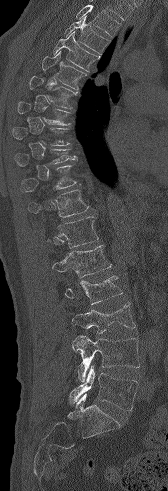

CT. 168 mm across the image. sagittal view
Columns x1, y1, x2, y2 give each box's top-left and bottom-right pixels.
Not every vertebra on this slice has a box: a vertebra is boxed only from the first to the last slice where its cross-section is at least a third of its largest, and this slice is outside that range for at least one of them.
Vertebrae that run past the top of the scan are left unlabeled.
| vertebra | x1 | y1 | x2 | y2 |
|---|---|---|---|---|
| T3 | 64 | 16 | 108 | 54 |
| T4 | 53 | 31 | 99 | 71 |
| T5 | 42 | 51 | 86 | 89 |
| T6 | 29 | 76 | 77 | 108 |
| T7 | 17 | 101 | 70 | 125 |
| T9 | 14 | 149 | 77 | 166 |
| T10 | 21 | 165 | 76 | 191 |
| T11 | 28 | 189 | 89 | 217 |
| T12 | 48 | 216 | 98 | 248 |
| L1 | 52 | 245 | 111 | 277 |
| L2 | 65 | 275 | 122 | 304 |
| L3 | 71 | 303 | 135 | 333 |
| L4 | 72 | 335 | 139 | 381 |
| L5 | 69 | 365 | 138 | 410 |